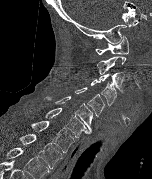
CT — sagittal view. Each row gives a vertebra's box as x1, y1, x2, y2 in pixels: top-left corner, then bottom-right corner.
In this scan, the topmost labeled vertebra is C1 and the lowest is T2.
| vertebra | x1 | y1 | x2 | y2 |
|---|---|---|---|---|
| T2 | 19 | 134 | 64 | 168 |
| T1 | 31 | 121 | 74 | 152 |
| C7 | 45 | 107 | 90 | 137 |
| C6 | 44 | 96 | 92 | 132 |
| C5 | 75 | 87 | 104 | 117 |
| C4 | 90 | 79 | 116 | 106 |
| C3 | 99 | 71 | 124 | 94 |
| C2 | 96 | 56 | 126 | 74 |
| C1 | 95 | 35 | 129 | 55 |